Spine computed tomography — Sagittal slice 261/512 — W/L 1800/400 HU — 512x609 px — scan covers 11 annotated vertebrae
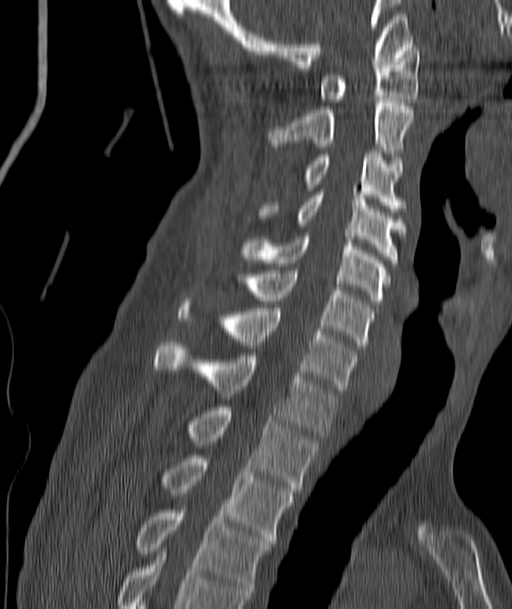

Boxes are (x1, y1, x2, y2) in pixels.
Vertebra bounding boxes:
- C1: (321, 44, 419, 102)
- C2: (269, 99, 413, 156)
- C3: (305, 151, 402, 211)
- C4: (261, 188, 405, 263)
- C5: (242, 233, 389, 304)
- C6: (236, 270, 372, 348)
- C7: (179, 298, 356, 389)
- T1: (154, 342, 337, 437)
- T2: (187, 407, 317, 492)
- T3: (160, 455, 293, 543)
- T4: (135, 510, 271, 598)